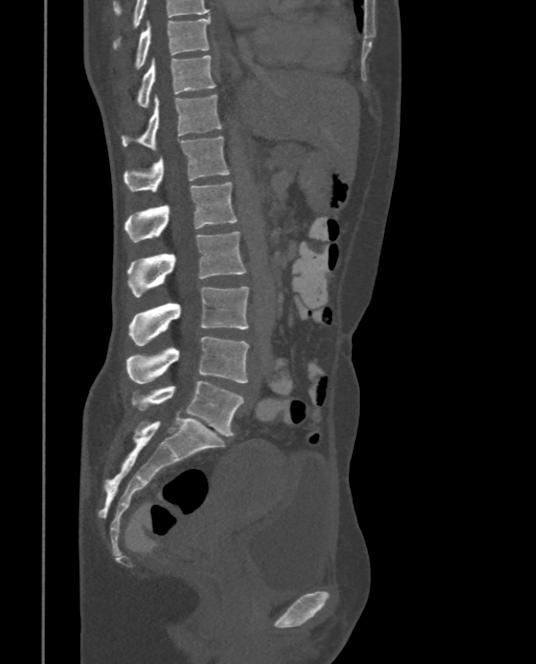
CT. sagittal view. bone-window reconstruction. 536x664 px

Boxes are given in columns x1, y1, x2, y2, the pixel coordinates of their top-left and bottom-right corners.
In this scan, the topmost labeled vertebra is T9 and the lowest is L5.
| vertebra | x1 | y1 | x2 | y2 |
|---|---|---|---|---|
| T9 | 134 | 16 | 210 | 69 |
| T10 | 136 | 56 | 216 | 107 |
| T11 | 121 | 94 | 222 | 149 |
| T12 | 125 | 136 | 229 | 192 |
| L1 | 125 | 181 | 238 | 242 |
| L2 | 127 | 231 | 246 | 296 |
| L3 | 129 | 286 | 249 | 346 |
| L4 | 126 | 336 | 249 | 383 |
| L5 | 131 | 380 | 243 | 436 |